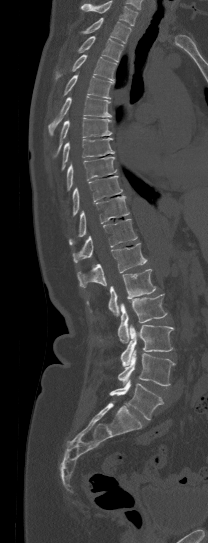 CT · sagittal view
Boxes: x1 y1 x2 y2 (pixel coords, space-separated).
Where the top of the scan cuts through a vertebra, that vertebra gets no label or box.
Vertebra bounding boxes:
- T1: 82 18 132 43
- T2: 78 36 123 62
- T3: 56 54 116 81
- T4: 64 73 112 98
- T5: 48 96 112 135
- T6: 52 118 111 155
- T7: 61 138 114 170
- T8: 67 157 116 190
- T9: 72 175 122 215
- T10: 69 196 128 244
- T11: 72 219 137 262
- T12: 77 243 147 287
- L1: 108 269 155 316
- L2: 118 293 166 343
- L3: 121 324 174 366
- L4: 118 350 176 386
- L5: 108 380 163 419